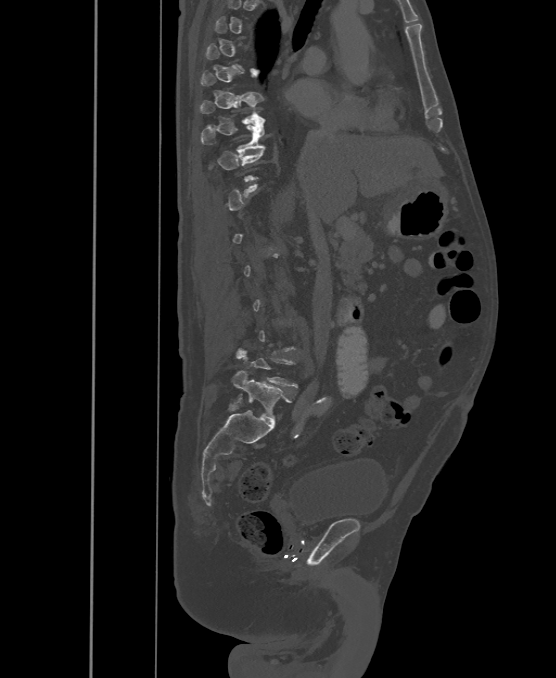

Spine CT. 500 mm across the image. sagittal reformat
Boxes are (x1, y1, x2, y2) in pixels. A vertebra gets a box only on the slices from the first to the last where its cross-section is at least a third of its largest; on a slice outside that range it gets none. In these labels the spine has an L6, a sixth lumbar vertebra below L5. 3 vertebrae labeled — T9 at (200, 97, 265, 124); T10 at (201, 119, 265, 153); L6 at (233, 370, 291, 420).